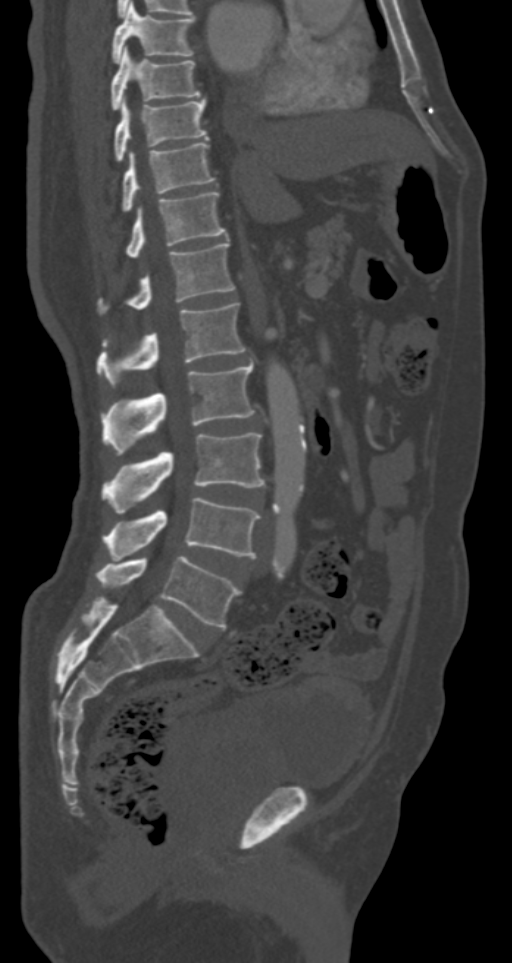

Spine computed tomography · sagittal view · 512x963 px
Boxes below are [x1, y1, x2, y2] in pixels.
{"vertebrae":{"L5":[96,556,241,628],"L4":[103,497,261,558],"L3":[101,433,264,512],"L2":[101,363,254,455],"L1":[96,303,245,386],"T12":[100,242,234,311],"T11":[126,192,225,257],"T10":[123,142,214,211],"T9":[114,96,207,161],"T8":[110,46,200,109],"T7":[112,4,193,63]}}